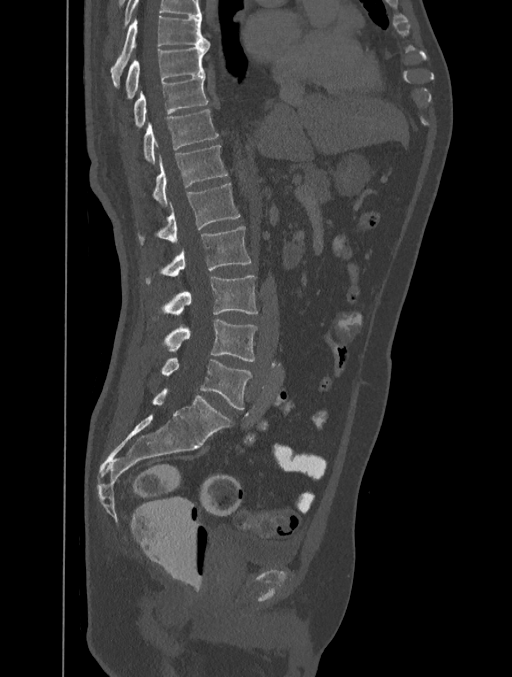
CT. sagittal view. bone window. 401 mm wide
Boxes: x1:y1:x2:y2 in pixels. The highest labeled vertebra in this scan is T8; the lowest is L5. The labeled vertebrae in this slice are: T8 at 111:15:210:89, T9 at 125:43:210:100, T10 at 133:75:208:128, T11 at 143:109:218:162, T12 at 152:145:227:206, L1 at 136:183:240:244, L2 at 144:226:250:285, L3 at 152:276:258:321, L4 at 158:319:257:361, L5 at 161:357:252:409.